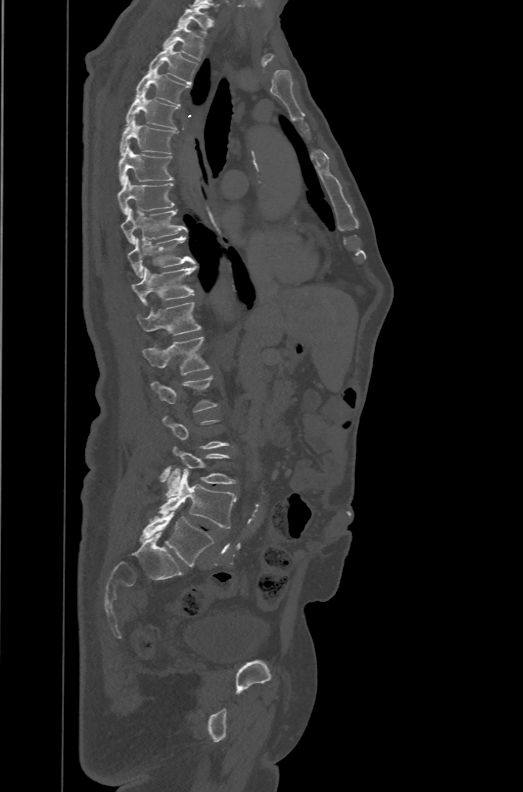

CT, spine · sagittal reformat · bone-window reconstruction · 523x792 px
Boxes: x1 y1 x2 y2 (pixel coords, space-separated).
Each vertebra is boxed only on the slices from the first to the last where its cross-section reaches a third of its largest, so a slice outside that range leaves it unboxed.
The labels name a sixth lumbar vertebra for this spine: L6, after L5.
Vertebra bounding boxes:
- T1: 178 5 211 35
- T2: 164 23 203 60
- T3: 147 42 198 84
- T4: 136 68 189 105
- T5: 125 91 178 129
- T6: 120 116 176 155
- T7: 118 144 174 184
- T8: 118 176 175 215
- T9: 120 208 187 244
- T10: 127 236 195 278
- T11: 131 266 196 303
- T12: 136 302 200 335
- L1: 142 336 209 374
- L4: 164 446 235 497
- L5: 157 465 235 528
- L6: 140 511 214 565